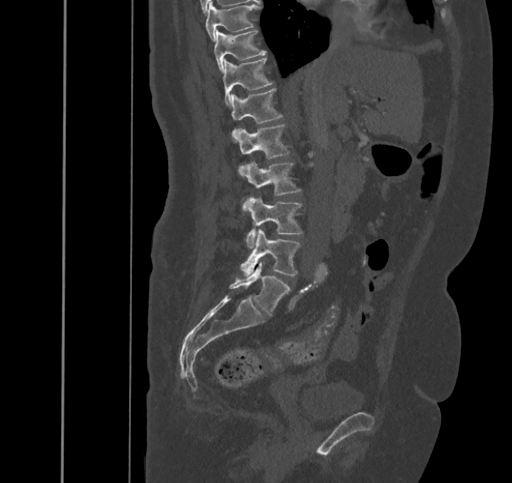

Spine computed tomography; sagittal view; W/L 1800/400 HU. Boxes are (x1, y1, x2, y2) in pixels. The labeled vertebrae in this slice are: T9 at (205, 2, 259, 40), T10 at (214, 30, 266, 73), T11 at (222, 58, 273, 107), T12 at (231, 88, 282, 142), L1 at (232, 124, 289, 175), L2 at (244, 162, 300, 209), L3 at (246, 197, 303, 248), L4 at (240, 230, 299, 277), L5 at (229, 262, 290, 315).